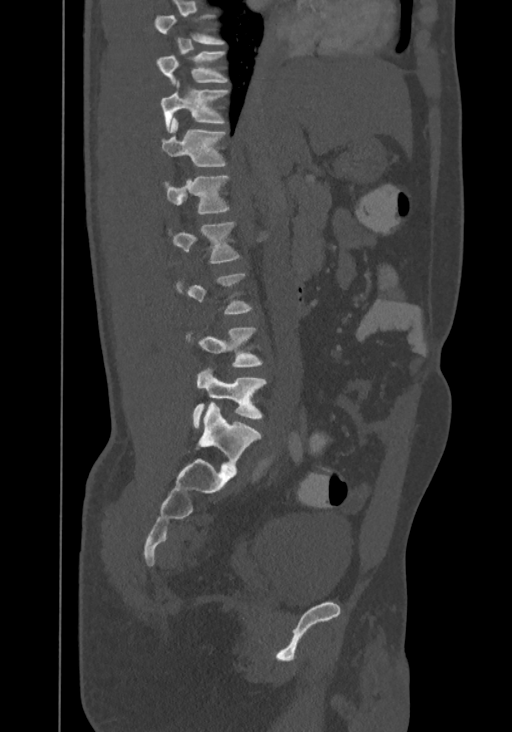
Spine CT — sagittal view — 512x732 px

Each box given as x1,y1,x2,y2. A vertebra is boxed only from the first to the last slice where its cross-section is at least a third of its largest; slices outside that range leave it without a box. In this scan, the topmost labeled vertebra is T8 and the lowest is L4. 6 vertebrae labeled — T9 at x1=156, y1=51, x2=226, y2=84; T10 at x1=160, y1=83, x2=228, y2=131; T11 at x1=162, y1=118, x2=225, y2=166; T12 at x1=164, y1=175, x2=228, y2=214; L1 at x1=174, y1=221, x2=239, y2=263; L4 at x1=192, y1=368, x2=265, y2=428.